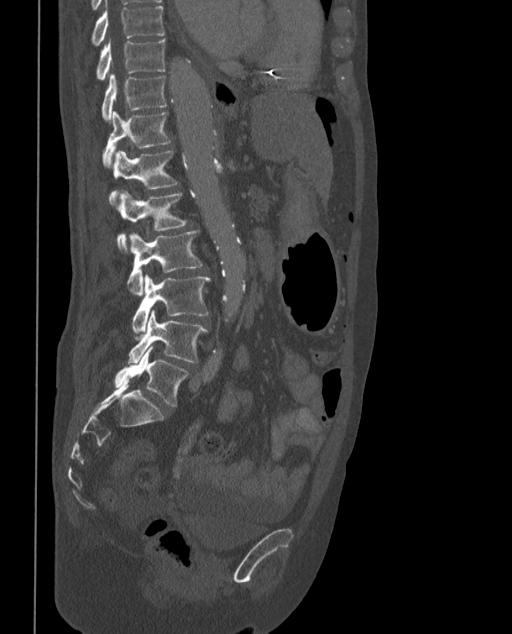
CT spine · sagittal view · 512x634 px
These labels give the spine a sixth lumbar vertebra, L6, below L5.
<vertebrae><v name="T9" x1="92" y1="2" x2="165" y2="46"/><v name="T10" x1="96" y1="38" x2="165" y2="79"/><v name="T11" x1="101" y1="74" x2="166" y2="121"/><v name="T12" x1="103" y1="111" x2="172" y2="166"/><v name="L1" x1="109" y1="151" x2="177" y2="204"/><v name="L2" x1="116" y1="189" x2="187" y2="252"/><v name="L3" x1="127" y1="230" x2="202" y2="295"/><v name="L4" x1="132" y1="274" x2="210" y2="335"/><v name="L5" x1="128" y1="310" x2="207" y2="362"/><v name="L6" x1="114" y1="346" x2="188" y2="407"/></vertebrae>